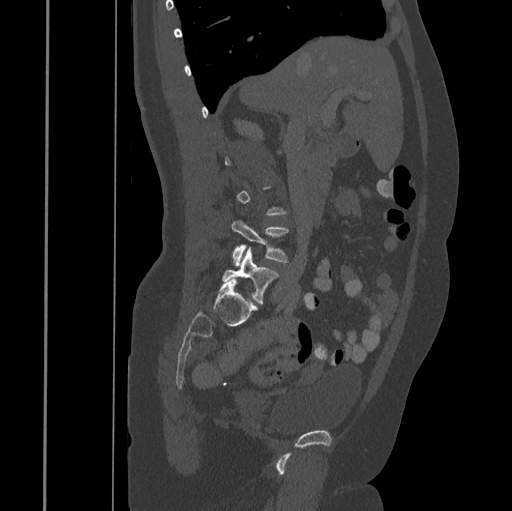

Computed tomography of the spine — image 445 mm wide — sagittal reformat
Each vertebra maps to its box as [x1, y1, x2, y2], the pixel coordinates of its top-left and bottom-right corners.
A vertebra gets a box only on the slices from the first to the last where its cross-section is at least a third of its largest; on a slice outside that range it gets none.
{"vertebrae":{"L5":[222,249,279,302],"L4":[231,220,289,266]}}